CT spine. sagittal plane, index 220. 512x594 px. scan covers 9 annotated vertebrae. 442 mm image width
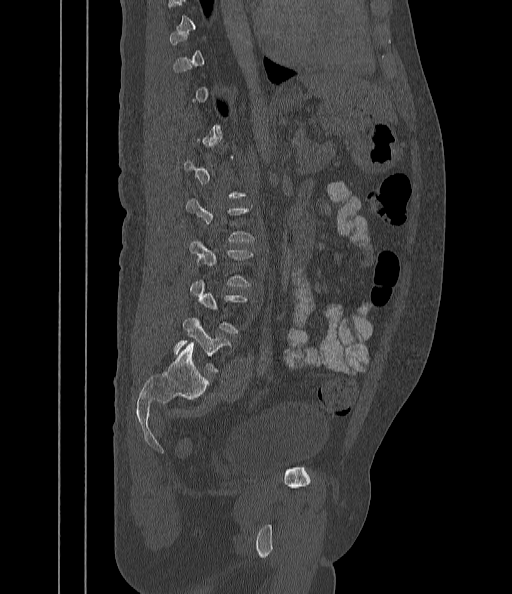

Coordinates as <box>x1,y1,x2,y2</box>. A vertebra is boxed only from the first to the last slice where its cross-section is at least a third of its largest; slices outside that range leave it without a box. 2 vertebrae labeled — L5 at <box>174,318,231,373</box>; L3 at <box>189,242,253,287</box>.